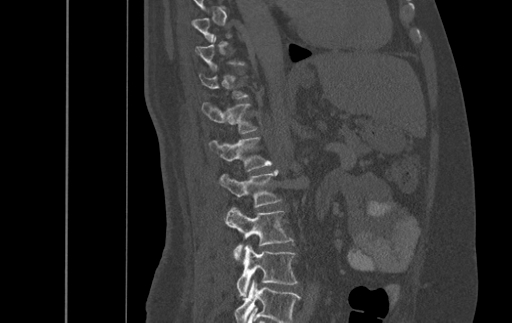
Computed tomography of the spine · 500 mm image width · sagittal view · bone window
Columns x1, y1, x2, y2 give each box's top-left and bottom-right pixels.
A vertebra is boxed only from the first to the last slice where its cross-section is at least a third of its largest; slices outside that range leave it without a box.
The highest labeled vertebra in this scan is T9; the lowest is L4.
| vertebra | x1 | y1 | x2 | y2 |
|---|---|---|---|---|
| T12 | 202 | 102 | 256 | 133 |
| L1 | 209 | 137 | 271 | 171 |
| L2 | 218 | 169 | 281 | 207 |
| L3 | 225 | 207 | 293 | 259 |
| L4 | 237 | 245 | 297 | 297 |